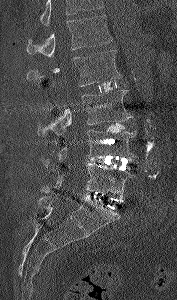

Spine CT — image 177 mm wide — sagittal reformat
Vertebrae that run past the top of the scan are left unlabeled.
<vertebrae><v name="L1" x1="26" y1="15" x2="112" y2="58"/><v name="L2" x1="27" y1="50" x2="121" y2="86"/><v name="L3" x1="38" y1="90" x2="132" y2="136"/><v name="L4" x1="41" y1="130" x2="136" y2="167"/><v name="L5" x1="41" y1="163" x2="133" y2="199"/></vertebrae>